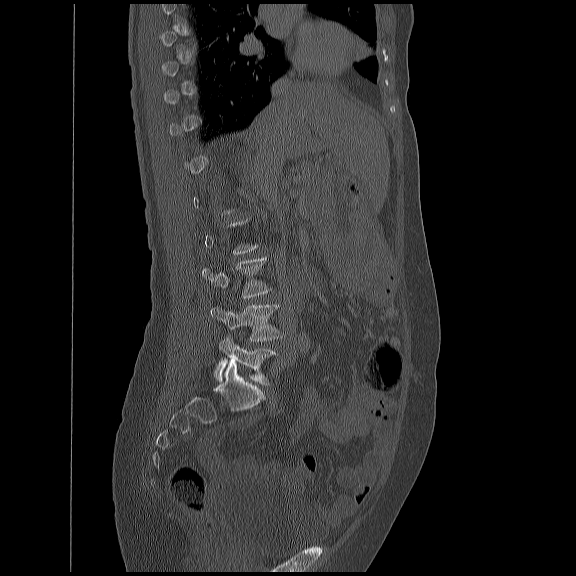
CT. 450 mm image width. sagittal view. 576x576 px. Boxes are (x1, y1, x2, y2) in pixels. Not every vertebra on this slice has a box: a vertebra is boxed only from the first to the last slice where its cross-section is at least a third of its largest, and this slice is outside that range for at least one of them. The labeled vertebrae in this slice are: L3 at (200, 255, 270, 298), L4 at (209, 304, 283, 341), L5 at (213, 336, 276, 385).